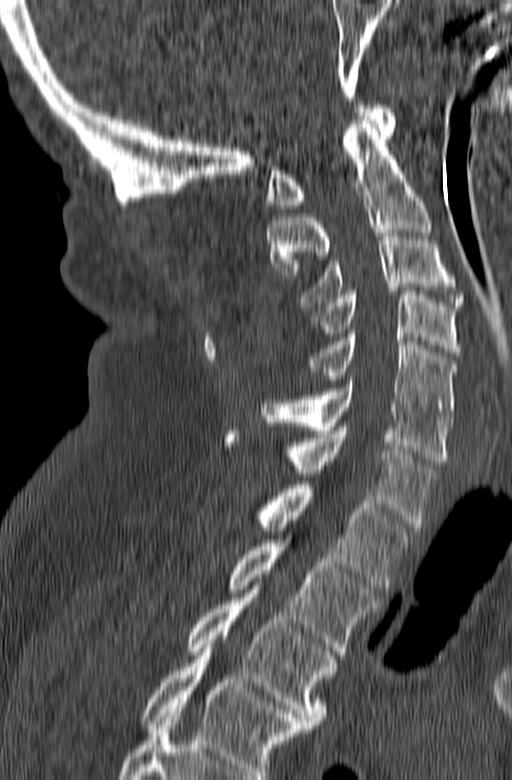

Computed tomography of the spine — sagittal view — bone-window reconstruction — 512x780 px. Boxes are (x1, y1, x2, y2) in pixels.
Labels in this scan begin with C1 at the top and end with T3 at the bottom.
Vertebra bounding boxes:
- T3: (185, 586, 337, 728)
- T2: (229, 539, 379, 658)
- T1: (256, 481, 413, 589)
- C7: (293, 427, 438, 527)
- C6: (261, 380, 452, 464)
- C5: (299, 334, 456, 418)
- C4: (308, 291, 460, 356)
- C3: (299, 229, 464, 309)
- C2: (267, 116, 431, 278)
- C1: (266, 105, 396, 208)